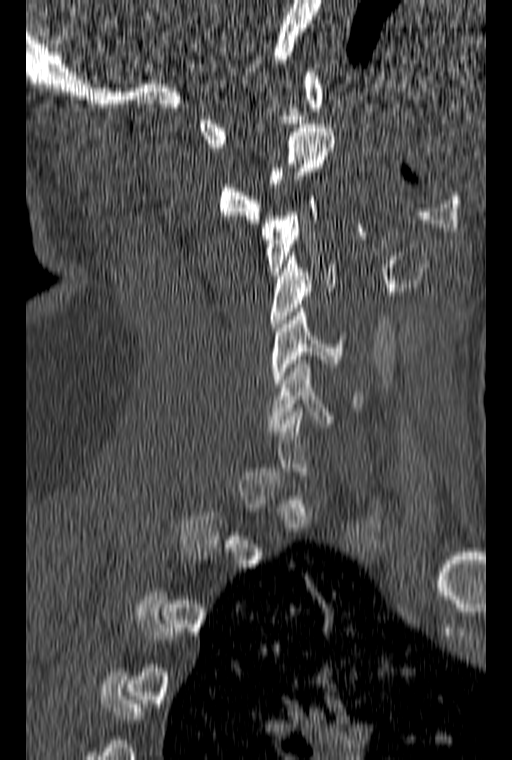
Spine computed tomography — sagittal reformat
A vertebra gets a box only on the slices from the first to the last where its cross-section is at least a third of its largest; on a slice outside that range it gets none.
<vertebrae><v name="C1" x1="198" y1="68" x2="324" y2="147"/><v name="C2" x1="219" y1="124" x2="334" y2="223"/><v name="C3" x1="261" y1="196" x2="318" y2="275"/><v name="C4" x1="271" y1="252" x2="337" y2="327"/><v name="C5" x1="271" y1="308" x2="344" y2="387"/><v name="C6" x1="268" y1="356" x2="362" y2="427"/></vertebrae>